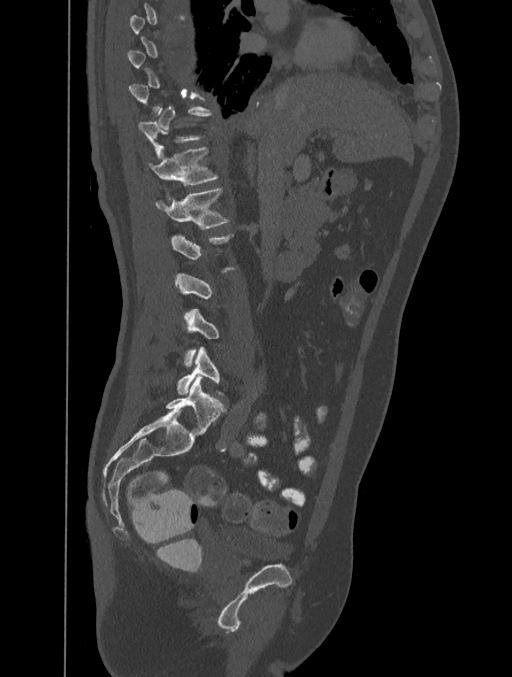 Computed tomography of the spine; sagittal reformat

A vertebra is boxed only from the first to the last slice where its cross-section is at least a third of its largest; slices outside that range leave it without a box.
<vertebrae><v name="L5" x1="177" y1="346" x2="224" y2="397"/><v name="L1" x1="156" y1="187" x2="230" y2="229"/><v name="T12" x1="149" y1="147" x2="218" y2="194"/><v name="T11" x1="138" y1="108" x2="212" y2="158"/></vertebrae>